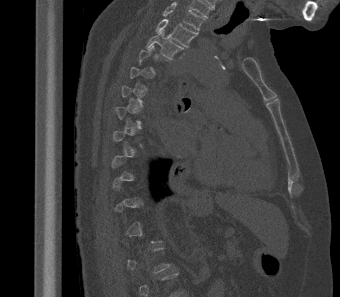 Spine computed tomography. sagittal view. bone window. 340x297 px. the image spans 340 mm across

Each row gives a vertebra's box as x1, y1, x2, y2 in pixels: top-left corner, then bottom-right corner.
A vertebra is boxed only from the first to the last slice where its cross-section is at least a third of its largest; slices outside that range leave it without a box.
The highest labeled vertebra in this scan is T2; the lowest is L1.
| vertebra | x1 | y1 | x2 | y2 |
|---|---|---|---|---|
| T2 | 155 | 19 | 198 | 47 |
| T3 | 146 | 30 | 185 | 59 |